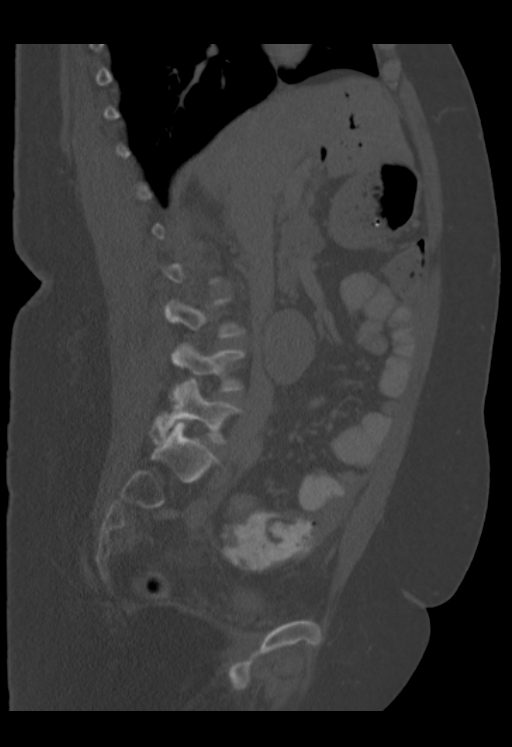

Computed tomography of the spine — sagittal view — bone-window reconstruction. In the table, x1 and y1 are a box's top-left corner and x2 and y2 its bottom-right corner, in pixels.
A vertebra is boxed only from the first to the last slice where its cross-section is at least a third of its largest; slices outside that range leave it without a box.
| vertebra | x1 | y1 | x2 | y2 |
|---|---|---|---|---|
| L5 | 151 | 380 | 240 | 445 |
| L4 | 171 | 344 | 244 | 391 |
| L3 | 164 | 299 | 244 | 337 |